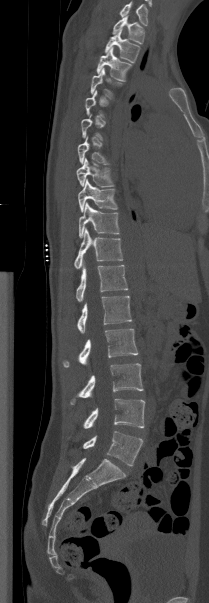 Spine computed tomography. image 209 mm wide. sagittal view
Each vertebra maps to its box as [x1, y1, x2, y2], the pixel coordinates of its top-left and bottom-right corners.
Not every vertebra on this slice has a box: a vertebra is boxed only from the first to the last slice where its cross-section is at least a third of its largest, and this slice is outside that range for at least one of them.
Labels in this scan begin with T1 at the top and end with L5 at the bottom.
{"vertebrae":{"T1":[112,16,144,43],"T2":[105,30,140,62],"T3":[96,47,132,81],"T4":[90,68,122,98],"T7":[77,136,109,164],"T8":[76,158,114,187],"T9":[78,179,117,212],"T10":[79,202,119,237],"T11":[74,228,123,269],"T12":[76,260,128,301],"L1":[77,296,131,333],"L2":[63,329,138,367],"L3":[70,363,143,404],"L4":[83,399,144,428],"L5":[83,431,143,466]}}